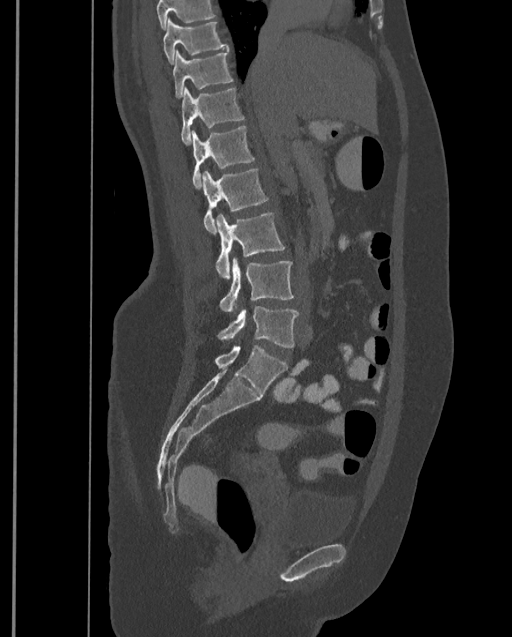 CT spine; sagittal view; bone window
A vertebra cut off by the top edge of the scan is not labeled and has no box.
In this scan, the topmost labeled vertebra is T9 and the lowest is L4.
<vertebrae><v name="T9" x1="163" y1="17" x2="229" y2="65"/><v name="T10" x1="173" y1="50" x2="232" y2="98"/><v name="T11" x1="181" y1="87" x2="244" y2="146"/><v name="T12" x1="191" y1="126" x2="254" y2="188"/><v name="L1" x1="202" y1="167" x2="267" y2="233"/><v name="L2" x1="215" y1="212" x2="285" y2="278"/><v name="L3" x1="219" y1="258" x2="294" y2="312"/><v name="L4" x1="218" y1="306" x2="298" y2="347"/></vertebrae>